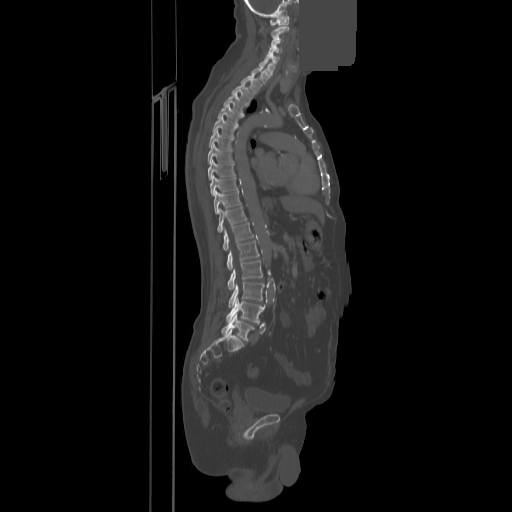
Computed tomography of the spine. sagittal view. 512x512 px. 858 mm wide. some of the image was removed or blocked out with constant pixels
Boxes are (x1, y1, x2, y2) in pixels. 24 vertebrae labeled — L5 at (221, 315, 253, 341); L4 at (226, 297, 264, 323); L3 at (229, 281, 264, 307); L2 at (228, 260, 262, 289); L1 at (227, 240, 259, 270); T12 at (223, 222, 253, 250); T11 at (217, 206, 246, 232); T10 at (214, 190, 241, 214); T9 at (210, 175, 237, 196); T8 at (208, 159, 234, 179); T7 at (207, 144, 232, 163); T6 at (208, 130, 233, 148); T5 at (212, 117, 237, 136); T4 at (217, 104, 242, 125); T3 at (223, 93, 247, 114); T2 at (231, 83, 253, 104); T1 at (241, 73, 261, 93); C7 at (251, 66, 270, 83); C6 at (259, 60, 274, 75); C5 at (265, 52, 279, 64); C4 at (269, 45, 282, 53); C3 at (271, 35, 280, 44); C2 at (271, 26, 288, 38); C1 at (270, 16, 289, 25).